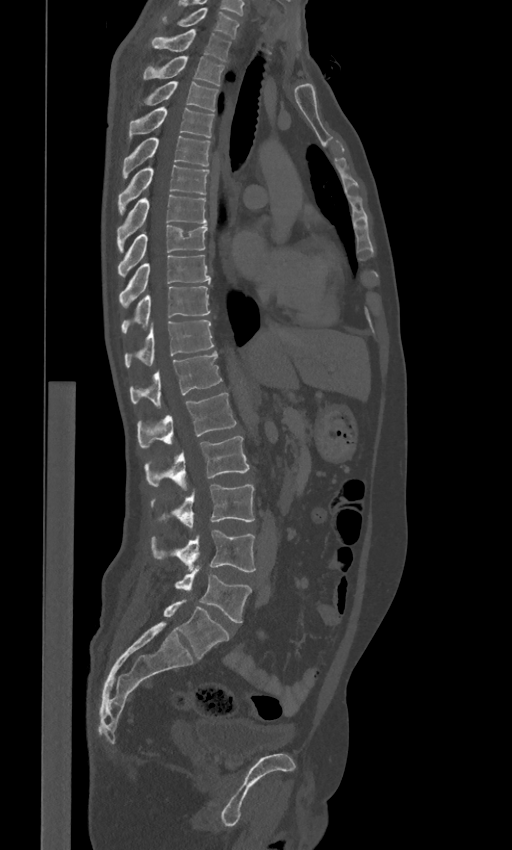

CT; the image is 443 mm wide; sagittal reformat; W/L 1800/400 HU

Boxes below are [x1, y1, x2, y2] in pixels.
These labels give the spine a sixth lumbar vertebra, L6, below L5.
{"vertebrae":{"C7":[158,7,240,39],"T1":[151,28,231,60],"T2":[143,56,224,85],"T3":[136,81,219,111],"T4":[128,108,214,137],"T5":[122,135,210,179],"T6":[118,164,208,213],"T7":[117,195,206,250],"T8":[118,225,207,277],"T9":[119,255,210,307],"T10":[121,286,209,333],"T11":[125,320,214,367],"T12":[129,351,222,406],"L1":[137,392,236,447],"L2":[144,436,249,489],"L3":[150,485,254,527],"L4":[150,529,255,571],"L5":[174,568,251,622],"L6":[163,599,229,658]}}